Spine CT; Sagittal slice 232/512; W/L 1800/400 HU
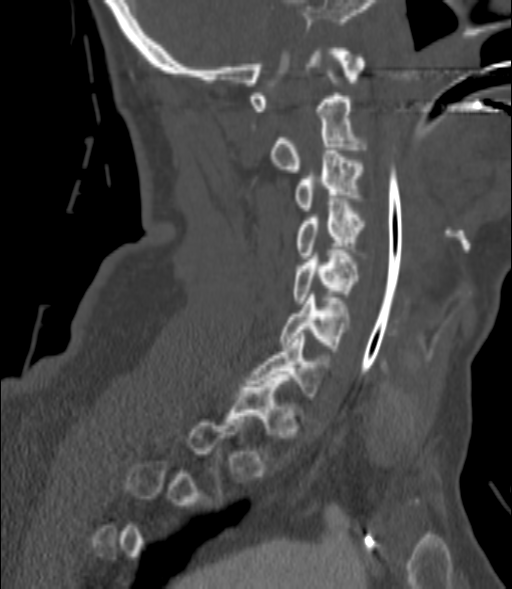

Boxes: x1 y1 x2 y2 (pixel coords, space-separated).
Each vertebra is boxed only on the slices from the first to the last where its cross-section reaches a third of its largest, so a slice outside that range leaves it unboxed.
Vertebra bounding boxes:
- C2: 270 70 366 172
- C3: 295 150 363 210
- C4: 295 202 366 258
- C5: 293 250 358 303
- C6: 280 294 348 351
- C7: 247 333 327 402
- T1: 224 378 297 460